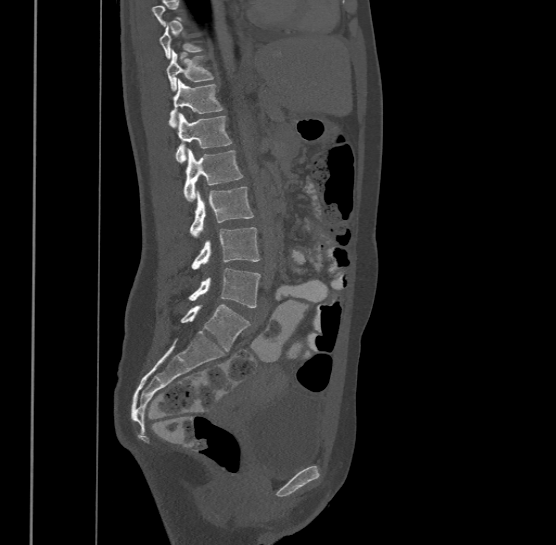
CT, spine · 500 mm across the image · sagittal view
Columns x1, y1, x2, y2 give each box's top-left and bottom-right pixels.
Not every vertebra on this slice has a box: a vertebra is boxed only from the first to the last slice where its cross-section is at least a third of its largest, and this slice is outside that range for at least one of them.
In this scan, the topmost labeled vertebra is T9 and the lowest is L4.
| vertebra | x1 | y1 | x2 | y2 |
|---|---|---|---|---|
| L4 | 189 | 268 | 261 | 307 |
| L3 | 191 | 227 | 261 | 269 |
| L2 | 190 | 186 | 253 | 237 |
| L1 | 183 | 150 | 242 | 201 |
| T12 | 176 | 112 | 231 | 162 |
| T11 | 169 | 78 | 223 | 128 |
| T10 | 166 | 50 | 214 | 90 |